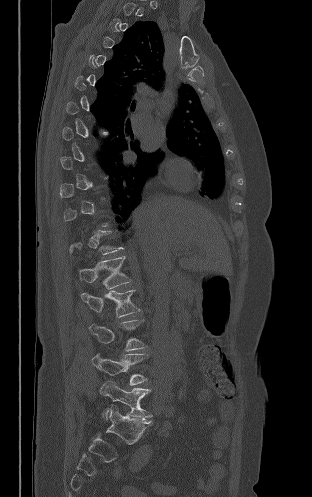
Spine computed tomography — sagittal reformat — bone-window reconstruction

Coordinates as <box>x1,y1,x2,y2</box>.
A vertebra is boxed only from the first to the last slice where its cross-section is at least a third of its largest; slices outside that range leave it without a box.
L5: <box>100,380,152,419</box>
L4: <box>92,354,147,385</box>
L3: <box>89,320,146,351</box>
L2: <box>81,290,140,317</box>
L1: <box>79,257,131,289</box>